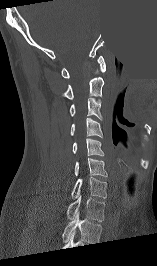 CT, spine. sagittal view. bone-window reconstruction. the image is 157 mm wide. 157x266 px. an area of the scan was removed and filled with constant pixels
Each vertebra maps to its box as [x1, y1, x2, y2], the pixel coordinates of its top-left and bottom-right corners.
Labels in this scan begin with C1 at the top and end with T1 at the bottom.
{"vertebrae":{"C1":[61,55,105,78],"C2":[62,77,104,99],"C3":[69,97,102,121],"C4":[70,118,102,137],"C5":[72,138,103,155],"C6":[74,158,107,176],"C7":[71,177,106,198],"T1":[66,194,105,221]}}